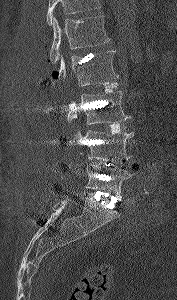

CT; sagittal view; W/L 1800/400 HU; the image is 177 mm wide
Each row gives a vertebra's box as x1, y1, x2, y2 in pixels: top-left corner, then bottom-right corner.
Vertebrae that run past the top of the scan are left unlabeled.
| vertebra | x1 | y1 | x2 | y2 |
|---|---|---|---|---|
| L1 | 49 | 15 | 110 | 63 |
| L2 | 52 | 50 | 118 | 86 |
| L3 | 67 | 91 | 131 | 124 |
| L4 | 74 | 129 | 133 | 161 |
| L5 | 86 | 164 | 133 | 199 |